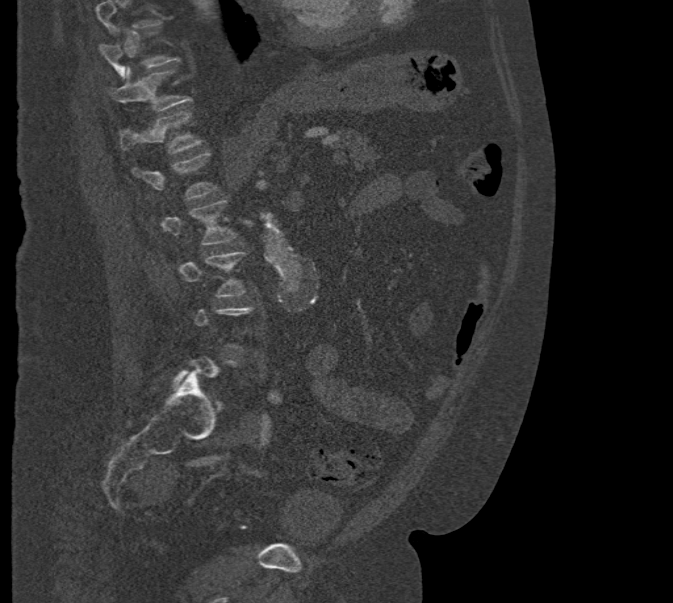
Computed tomography of the spine — sagittal view — W/L 1800/400 HU
Box values are [left, top, right, bottom] in pixels.
Each vertebra is boxed only on the slices from the first to the last where its cross-section reaches a third of its largest, so a slice outside that range leaves it unboxed.
{"vertebrae":{"T11":[110,66,191,111],"T12":[118,112,201,154],"L1":[133,152,217,199],"L2":[160,200,237,245],"L3":[170,252,246,297]}}